CT, spine. image width 162 mm. sagittal reformat
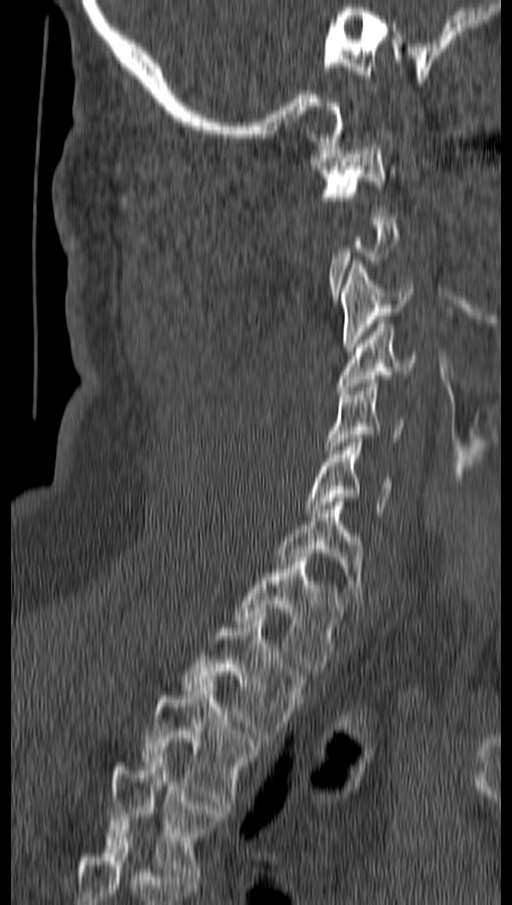
Bounding boxes as [x1, y1, x2, y2] in pixel coordinates. A vertebra is boxed only from the first to the last slice where its cross-section is at least a third of its largest; slices outside that range leave it without a box. 10 vertebrae labeled — C1 at [311, 138, 394, 216]; C3 at [342, 261, 412, 351]; C4 at [338, 320, 418, 394]; C5 at [327, 379, 402, 453]; C6 at [304, 439, 394, 517]; C7 at [276, 502, 364, 603]; T1 at [235, 557, 345, 675]; T2 at [181, 616, 307, 738]; T3 at [143, 683, 259, 805]; T4 at [105, 755, 228, 880].